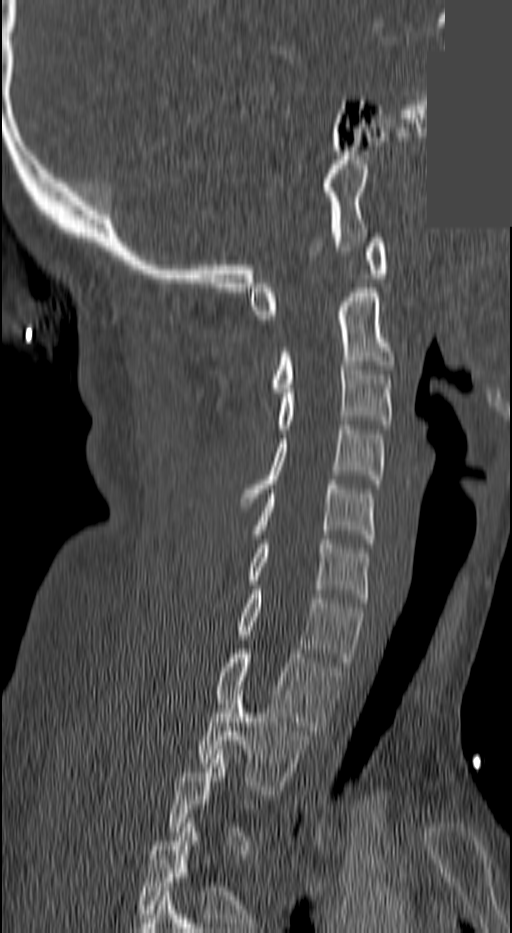 Computed tomography of the spine · sagittal reformat · part of the image is a flat gray fill, not anatomy

Each box given as x1,y1,x2,y2. Each vertebra is boxed only on the slices from the first to the last where its cross-section reaches a third of its largest, so a slice outside that range leaves it unboxed. The labeled vertebrae in this slice are: T2 at x1=199, y1=690, x2=308, y2=794, T1 at x1=217, y1=649, x2=340, y2=735, C7 at x1=235, y1=590, x2=362, y2=666, C6 at x1=250, y1=539, x2=370, y2=602, C5 at x1=254, y1=480, x2=373, y2=543, C4 at x1=242, y1=425, x2=384, y2=502, C3 at x1=279, y1=361, x2=392, y2=433, C2 at x1=272, y1=288, x2=395, y2=392, C1 at x1=250, y1=238, x2=388, y2=319.